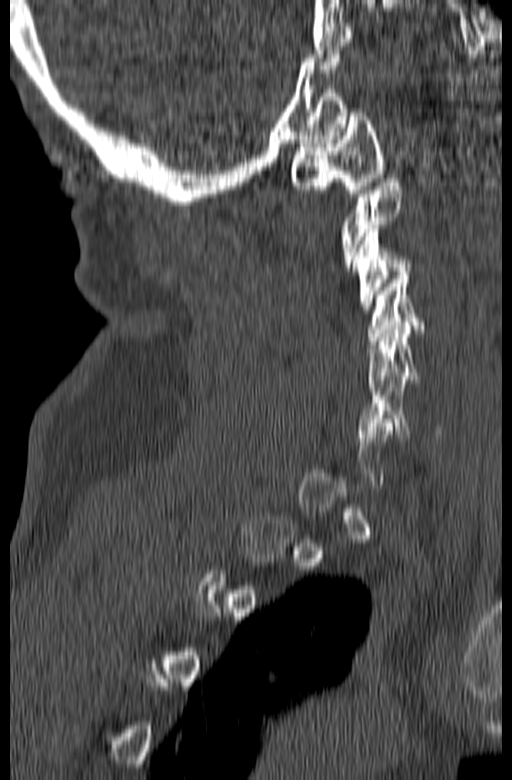

CT spine; sagittal view; 512x780 px
Each box given as x1,y1,x2,y2. Each vertebra is boxed only on the slices from the first to the last where its cross-section reaches a third of its largest, so a slice outside that range leaves it unboxed. The labeled vertebrae in this slice are: C1 at x1=290, y1=112, x2=385, y2=197, C3 at x1=353, y1=225, x2=412, y2=313, C4 at x1=368, y1=272, x2=425, y2=344, C5 at x1=367, y1=322, x2=422, y2=391, C6 at x1=357, y1=376, x2=442, y2=441.